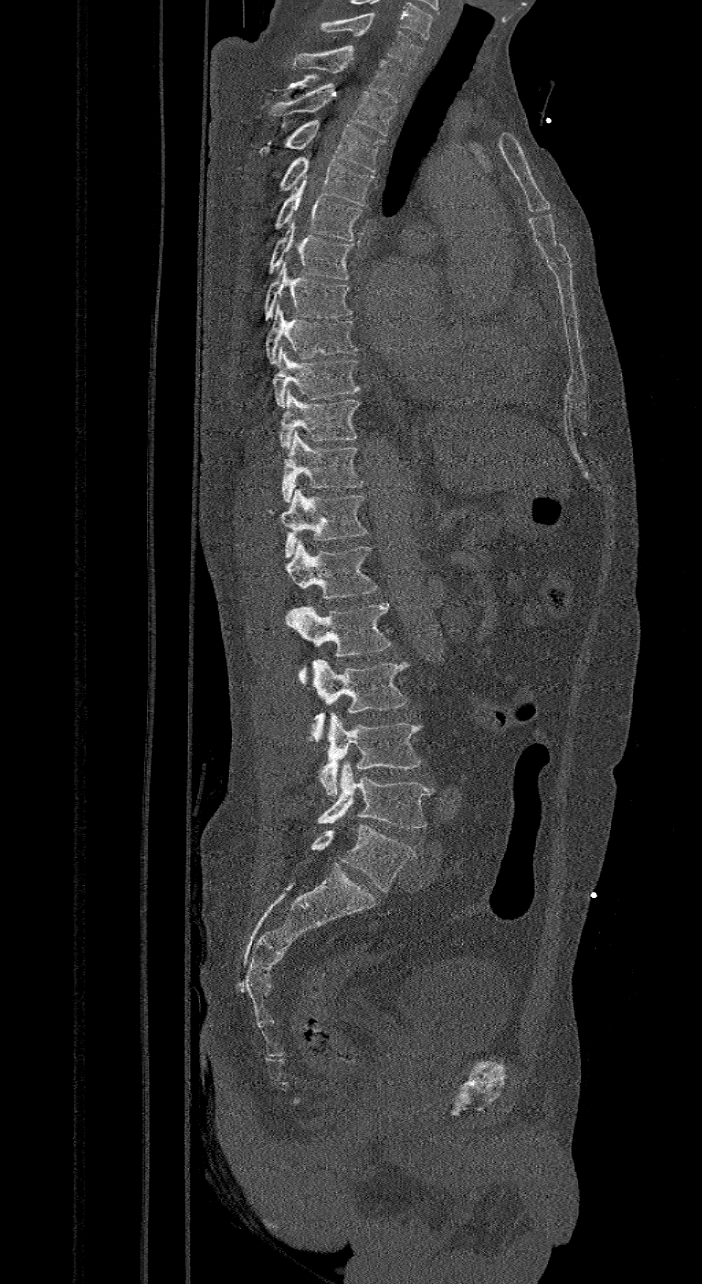 CT spine — sagittal view

Box edges are left/top/right/bottom in pixels.
In these labels the spine has an L6, a sixth lumbar vertebra below L5.
| vertebra | x1 | y1 | x2 | y2 |
|---|---|---|---|---|
| C7 | 319 | 15 | 422 | 69 |
| T1 | 293 | 45 | 407 | 102 |
| T2 | 269 | 83 | 395 | 135 |
| T3 | 258 | 119 | 384 | 172 |
| T4 | 280 | 155 | 375 | 205 |
| T5 | 274 | 175 | 362 | 240 |
| T6 | 267 | 220 | 353 | 279 |
| T7 | 263 | 260 | 353 | 320 |
| T8 | 264 | 303 | 357 | 363 |
| T9 | 273 | 345 | 361 | 406 |
| T10 | 280 | 389 | 359 | 448 |
| T11 | 281 | 430 | 364 | 502 |
| T12 | 269 | 488 | 368 | 558 |
| L1 | 285 | 540 | 377 | 597 |
| L2 | 286 | 602 | 392 | 683 |
| L3 | 308 | 659 | 409 | 743 |
| L4 | 318 | 713 | 421 | 795 |
| L5 | 317 | 761 | 432 | 828 |
| L6 | 311 | 824 | 416 | 892 |